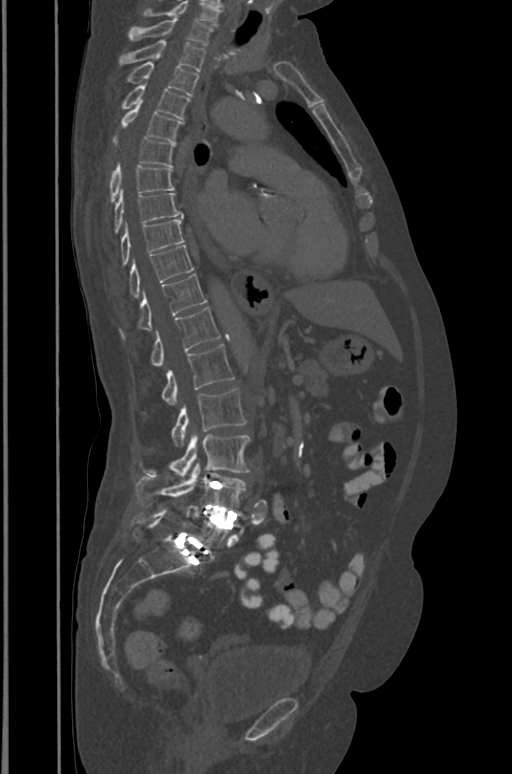
Spine CT. sagittal view. Bone window (WL 400, WW 1800). image 391 mm wide
Box values are [left, top, right, bottom] in pixels.
The highest labeled vertebra in this scan is T1; the lowest is L5.
{"vertebrae":{"T1":[128,17,212,45],"T2":[120,40,205,71],"T3":[127,62,198,95],"T4":[122,85,189,119],"T5":[120,103,182,143],"T6":[114,138,174,166],"T7":[110,166,174,201],"T8":[115,190,184,232],"T9":[120,219,184,264],"T10":[130,245,193,297],"T11":[120,274,206,338],"T12":[151,307,220,365],"L1":[161,344,233,405],"L2":[172,389,245,447],"L3":[145,432,249,480],"L4":[136,463,245,511],"L5":[131,507,228,558]}}